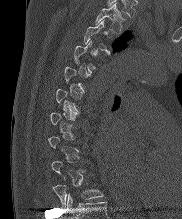
Computed tomography of the spine. 182 mm image width. sagittal view
Each vertebra maps to its box as [x1, y1, x2, y2], the pixel coordinates of its top-left and bottom-right corners.
A vertebra gets a box only on the slices from the first to the last where its cross-section is at least a third of its largest; on a slice outside that range it gets none.
The highest labeled vertebra in this scan is T2; the lowest is T10.
{"vertebrae":{"T2":[95,3,126,34],"T3":[83,20,113,53],"T10":[54,185,102,207]}}